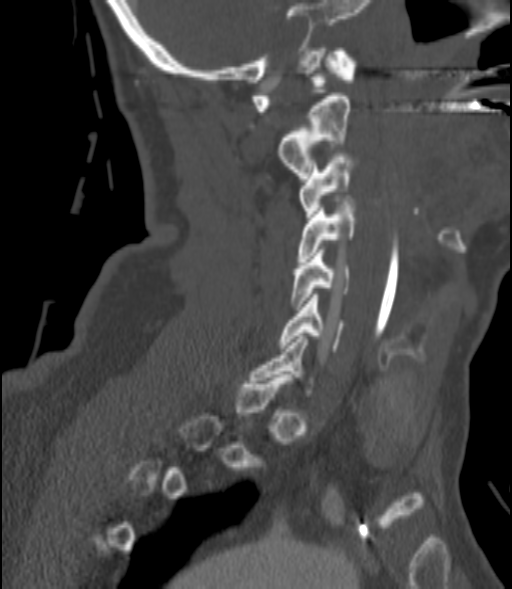

Spine computed tomography · the image is 200 mm wide · sagittal view · 512x589 px
Coordinates as <box>x1,y1,x2,y2</box>.
Each vertebra is boxed only on the slices from the first to the last where its cross-section reaches a third of its largest, so a slice outside that range leaves it unboxed.
C1: <box>252,48,357,111</box>
C2: <box>280,96,351,178</box>
C3: <box>300,154,351,220</box>
C4: <box>298,202,358,261</box>
C5: <box>290,250,351,309</box>
C6: <box>279,294,343,351</box>